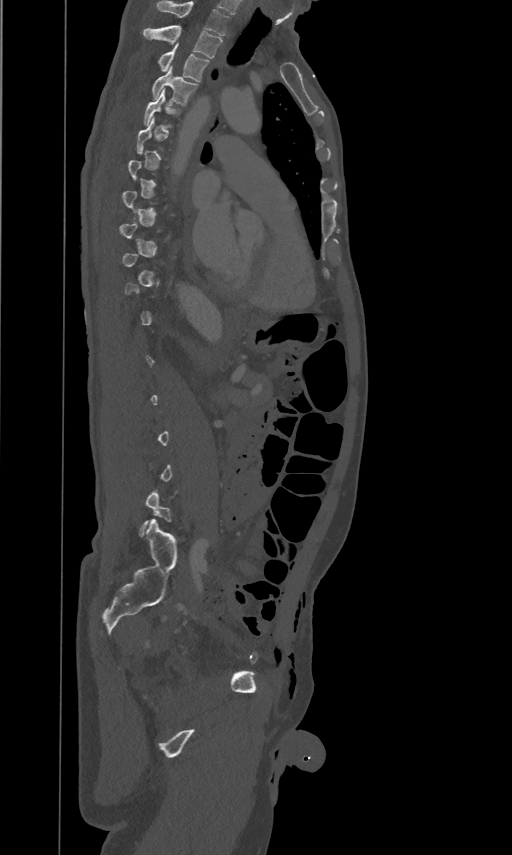 CT; image 461 mm wide; sagittal reformat; bone window
Box edges are left/top/right/bottom in pixels.
A vertebra is boxed only from the first to the last slice where its cross-section is at least a third of its largest; slices outside that range leave it without a box.
In this scan, the topmost labeled vertebra is T2 and the lowest is L5.
Vertebra bounding boxes:
- T2: left=143, top=25, right=222, bottom=58
- T3: left=158, top=43, right=209, bottom=81
- T4: left=152, top=66, right=198, bottom=105
- T5: left=143, top=88, right=179, bottom=126